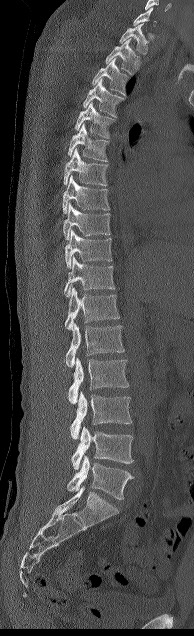
CT, spine; sagittal view; Bone window (WL 400, WW 1800); 194 mm across the image

Boxes: x1 y1 x2 y2 (pixel coords, space-separated).
Not every vertebra on this slice has a box: a vertebra is boxed only from the first to the last slice where its cross-section is at least a third of its largest, and this slice is outside that range for at least one of them.
Vertebra bounding boxes:
- T1: 119 23 148 55
- T2: 105 38 139 74
- T3: 92 58 129 95
- T4: 83 79 124 116
- T5: 74 102 114 138
- T6: 68 123 108 161
- T7: 63 148 107 186
- T8: 62 176 109 213
- T9: 63 204 110 240
- T10: 64 230 112 268
- T11: 64 257 115 297
- T12: 65 287 119 330
- L1: 64 322 124 367
- L2: 68 357 129 403
- L3: 70 391 132 439
- L4: 71 426 133 470
- L5: 67 455 134 499